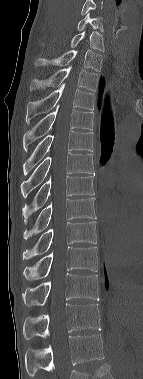 CT, spine · sagittal reformat · Bone window (WL 400, WW 1800) · 143x379 px
Box values are [left, top, right, bottom] in pixels.
Labels in this scan begin with C6 at the top and end with T12 at the bottom.
{"vertebrae":{"C6":[77,12,104,32],"C7":[70,31,104,51],"T1":[34,49,102,71],"T2":[29,66,99,91],"T3":[26,84,94,124],"T4":[23,106,94,152],"T5":[23,130,93,175],"T6":[20,152,94,198],"T7":[22,175,94,225],"T8":[24,198,95,239],"T9":[22,221,96,260],"T10":[23,246,97,279],"T11":[22,273,98,306],"T12":[23,303,100,339]}}